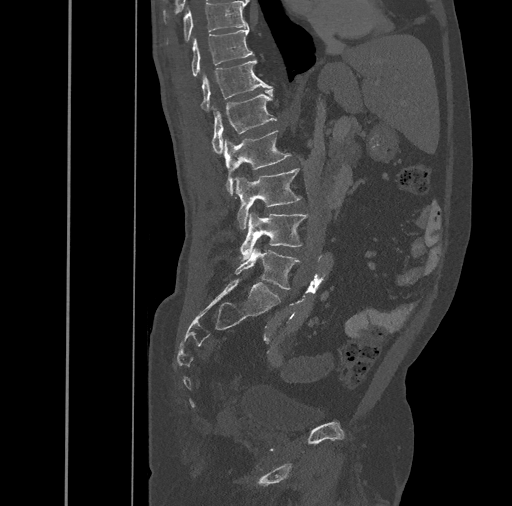 CT spine · the image spans 461 mm across · sagittal reformat · 512x506 px. Bounding boxes as [x1, y1, x2, y2] in pixel coordinates.
T10: [166, 1, 248, 43]
T11: [191, 27, 253, 76]
T12: [200, 59, 272, 111]
L1: [211, 89, 277, 154]
L2: [224, 131, 290, 195]
L3: [236, 168, 299, 228]
L4: [240, 213, 307, 260]
L5: [235, 247, 299, 290]